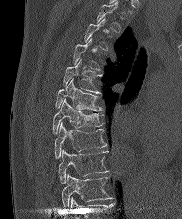

CT spine — sagittal view — 182x219 px
Boxes: x1:y1:x2:y2 in pixels. Not every vertebra on this slice has a box: a vertebra is boxed only from the first to the last slice where its cross-section is at least a third of its largest, and this slice is outside that range for at least one of them. This scan's labels start at T2 at the top and end at T10 at the bottom. The labeled vertebrae in this slice are: T2 at 97:1:120:31, T5 at 63:59:101:93, T6 at 55:79:101:110, T7 at 53:99:103:133, T8 at 54:123:105:158, T9 at 58:149:108:183, T10 at 61:174:110:208.